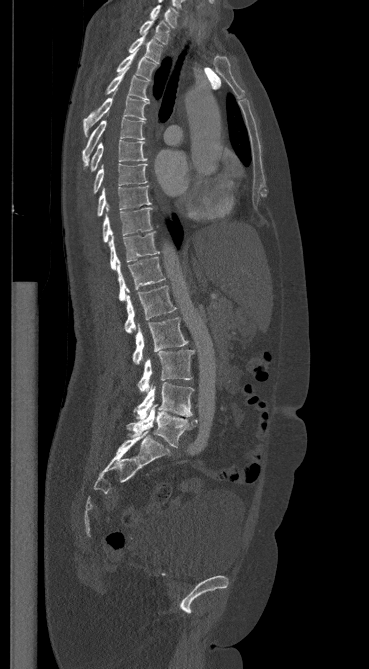
Computed tomography of the spine; sagittal view; 369 mm across the image; 369x669 px

Boxes: x1:y1:x2:y2 in pixels.
C7: 150:5:177:27
T1: 139:20:169:44
T2: 128:32:162:63
T3: 116:50:155:80
T4: 106:67:149:100
T5: 83:96:149:135
T6: 82:118:145:166
T7: 90:140:146:171
T8: 93:163:146:193
T9: 97:186:150:216
T10: 102:207:152:242
T11: 109:232:158:269
T12: 116:257:164:301
L1: 124:286:176:333
L2: 132:317:187:364
L3: 138:350:193:392
L4: 133:382:193:420
L5: 127:404:197:447